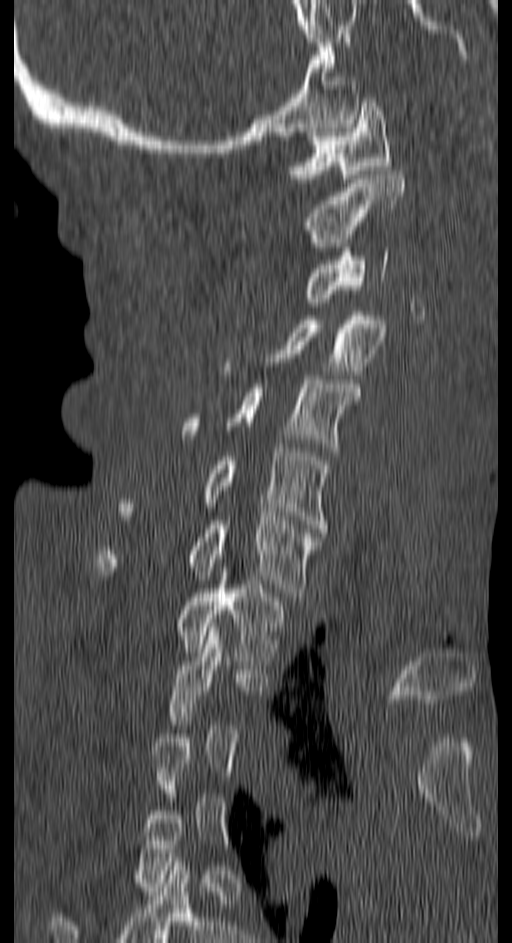
Computed tomography of the spine; the image spans 150 mm across; sagittal view; Bone window (WL 400, WW 1800)

Boxes: x1 y1 x2 y2 (pixel coords, space-separated).
Each vertebra is boxed only on the slices from the first to the last where its cross-section reaches a third of its largest, so a slice outside that range leaves it unboxed.
Vertebra bounding boxes:
- C1: 288 98 390 182
- C2: 305 171 403 251
- C3: 305 247 389 302
- C4: 270 316 385 370
- C5: 183 375 359 451
- C6: 121 448 328 532
- C7: 97 516 318 596
- T1: 179 576 284 665